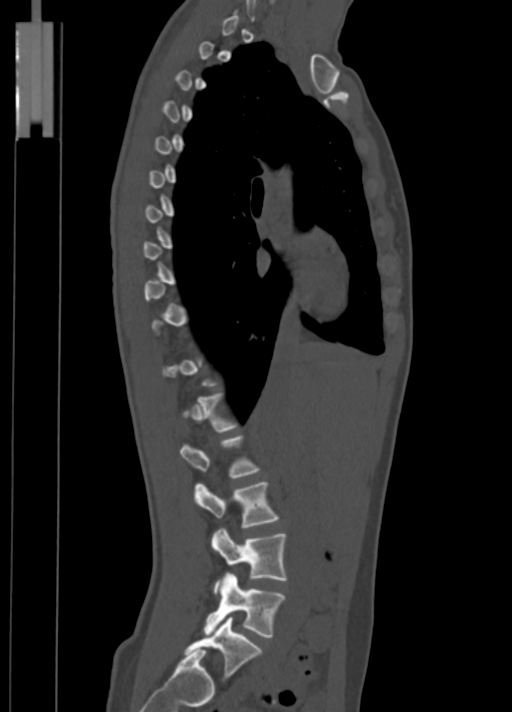

Computed tomography of the spine. sagittal view. Each box given as x1,y1,x2,y2.
Each vertebra is boxed only on the slices from the first to the last where its cross-section reaches a third of its largest, so a slice outside that range leaves it unboxed.
| vertebra | x1 | y1 | x2 | y2 |
|---|---|---|---|---|
| L1 | 180 | 436 | 259 | 477 |
| L2 | 194 | 481 | 278 | 527 |
| L3 | 212 | 528 | 287 | 594 |
| L4 | 205 | 573 | 285 | 637 |
| L5 | 184 | 617 | 262 | 679 |